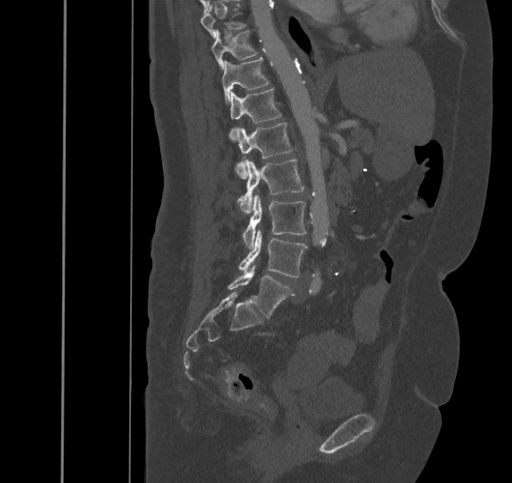
CT spine. sagittal view. W/L 1800/400 HU. Each box given as x1,y1,x2,y2.
| vertebra | x1 | y1 | x2 | y2 |
|---|---|---|---|---|
| L5 | 227 | 266 | 292 | 317 |
| L4 | 238 | 231 | 307 | 277 |
| L3 | 243 | 195 | 306 | 249 |
| L2 | 238 | 159 | 304 | 213 |
| L1 | 236 | 122 | 293 | 178 |
| T12 | 229 | 88 | 281 | 142 |
| T11 | 222 | 57 | 269 | 102 |
| T10 | 212 | 30 | 257 | 69 |
| T9 | 200 | 4 | 245 | 38 |